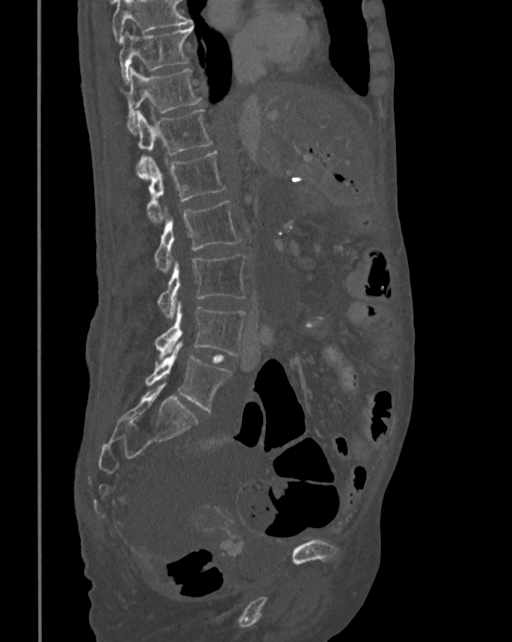 Spine CT — sagittal view — W/L 1800/400 HU — 512x642 px. Boxes are (x1, y1, x2, y2) in pixels.
No box is given to a vertebra that the top edge of the scan cuts off.
T10: (120, 26, 193, 83)
T11: (127, 68, 201, 130)
T12: (133, 110, 213, 177)
L1: (146, 152, 225, 222)
L2: (154, 201, 241, 271)
L3: (157, 254, 246, 319)
L4: (155, 302, 246, 358)
L5: (145, 342, 231, 411)